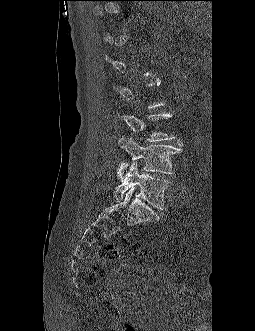 Spine CT. sagittal view. bone window. 255x331 px
Each box given as x1,y1,x2,y2. Not every vertebra on this slice has a box: a vertebra is boxed only from the first to the last slice where its cross-section is at least a third of its largest, and this slice is outside that range for at least one of them. 3 vertebrae labeled — L5 at x1=116, y1=162, x2=171, y2=209; L4 at x1=117, y1=136, x2=183, y2=180; L3 at x1=118, y1=113, x2=175, y2=141.